CT, spine — Sagittal slice 268/512 — bone window — scan covers 18 annotated vertebrae
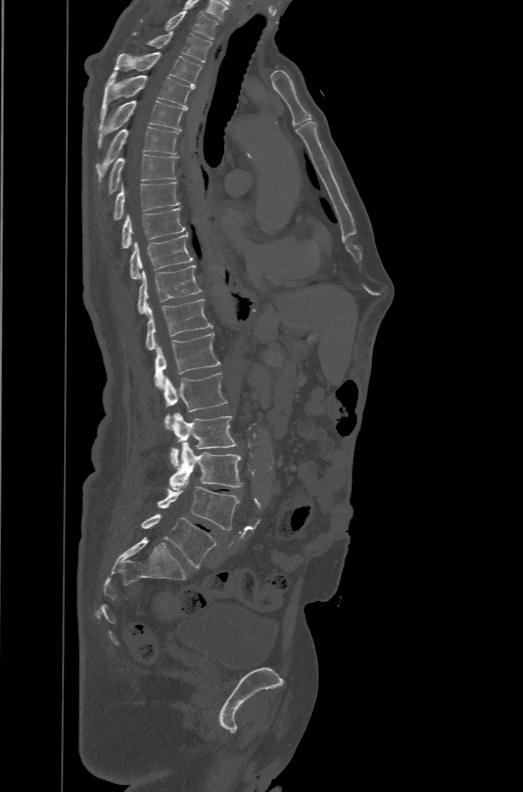
Bounding boxes as [x1, y1, x2, y2] in pixel coordinates. These labels give the spine a sixth lumbar vertebra, L6, below L5. The labeled vertebrae in this slice are: L6 at [141, 513, 216, 568], L5 at [157, 486, 239, 530], L4 at [169, 442, 242, 490], L3 at [170, 412, 237, 467], L2 at [164, 373, 227, 429], L1 at [154, 333, 220, 388], T12 at [145, 299, 212, 350], T11 at [138, 265, 201, 314], T10 at [130, 234, 192, 279], T9 at [123, 207, 186, 248], T8 at [114, 182, 179, 219], T7 at [107, 154, 178, 195], T6 at [95, 126, 179, 186], T5 at [97, 100, 186, 147], T4 at [101, 71, 193, 118], T3 at [113, 52, 201, 87], T2 at [149, 31, 212, 62], T1 at [139, 11, 218, 39].